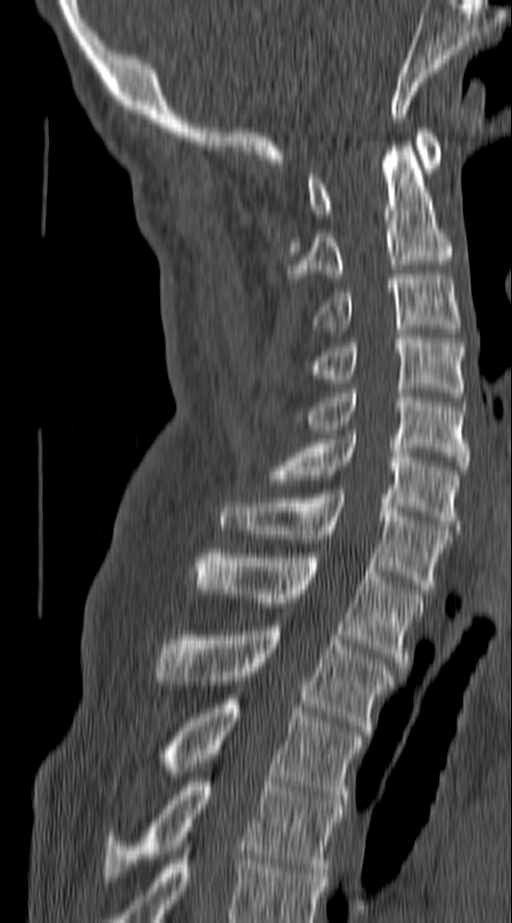
Spine CT · sagittal view · bone window · 140 mm across the image

Boxes are given in columns x1, y1, x2, y2, the pixel coordinates of their top-left and bottom-right corners.
In this scan, the topmost labeled vertebra is C1 and the lowest is T4.
| vertebra | x1 | y1 | x2 | y2 |
|---|---|---|---|---|
| C1 | 309 | 128 | 439 | 218 |
| C2 | 290 | 142 | 450 | 278 |
| C3 | 312 | 274 | 461 | 328 |
| C4 | 309 | 334 | 465 | 397 |
| C5 | 305 | 389 | 468 | 470 |
| C6 | 266 | 434 | 461 | 529 |
| C7 | 221 | 489 | 450 | 593 |
| T1 | 195 | 549 | 425 | 666 |
| T2 | 155 | 626 | 395 | 735 |
| T3 | 162 | 695 | 362 | 804 |
| T4 | 104 | 777 | 344 | 877 |